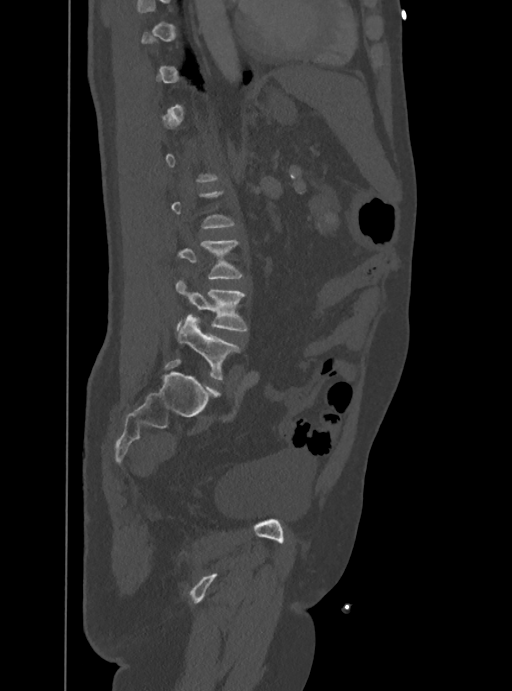 Spine computed tomography · the image is 388 mm wide · sagittal view
Boxes: x1:y1:x2:y2 in pixels.
Each vertebra is boxed only on the slices from the first to the last where its cross-section reaches a third of its largest, so a slice outside that range leaves it unboxed.
Vertebra bounding boxes:
- L5: 178:314:240:380
- L4: 175:279:248:332
- L3: 178:240:243:278